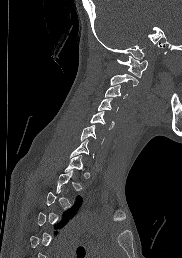
Spine computed tomography. sagittal view. 182 mm image width
A vertebra is boxed only from the first to the last slice where its cross-section is at least a third of its largest; slices outside that range leave it without a box.
<vertebrae><v name="T1" x1="63" y1="155" x2="83" y2="172"/><v name="C7" x1="70" y1="139" x2="93" y2="157"/><v name="C6" x1="80" y1="125" x2="104" y2="143"/><v name="C5" x1="90" y1="111" x2="114" y2="129"/><v name="C4" x1="98" y1="98" x2="118" y2="110"/><v name="C3" x1="105" y1="84" x2="127" y2="98"/><v name="C2" x1="110" y1="74" x2="138" y2="86"/><v name="C1" x1="116" y1="56" x2="148" y2="77"/></vertebrae>